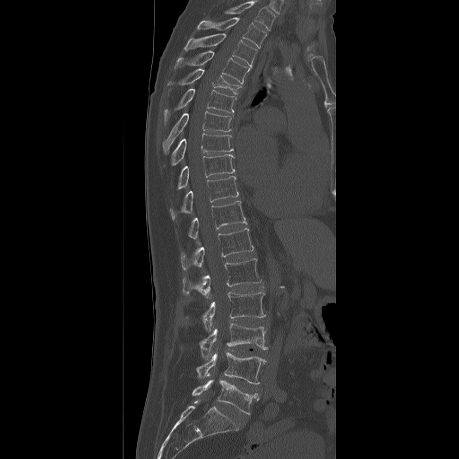 Spine computed tomography — sagittal reformat

Box values are [left, top, right, bottom] in pixels.
This scan's labels start at T2 at the top and end at L5 at the bottom.
{"vertebrae":{"L5":[191,380,258,414],"L4":[193,352,265,384],"L3":[185,323,267,357],"L2":[182,292,265,332],"L1":[182,258,261,299],"T12":[181,228,253,270],"T11":[188,201,246,238],"T10":[169,176,238,220],"T9":[177,154,234,189],"T8":[163,133,232,169],"T7":[162,111,231,153],"T6":[164,88,236,123],"T5":[166,69,241,94],"T4":[173,51,249,84],"T3":[185,33,257,66],"T2":[197,17,266,47]}}